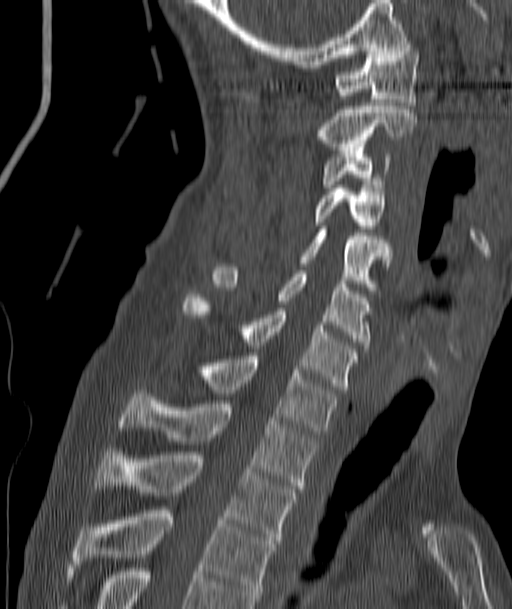
Spine computed tomography. sagittal view. W/L 1800/400 HU. Bounding boxes as [x1, y1, x2, y2] in pixel coordinates.
C1: [335, 44, 419, 105]
C2: [316, 103, 416, 150]
C3: [321, 147, 389, 187]
C4: [313, 188, 386, 232]
C5: [299, 229, 390, 293]
C6: [212, 267, 372, 348]
C7: [182, 294, 359, 389]
T1: [195, 356, 337, 434]
T2: [121, 390, 317, 492]
T3: [94, 452, 296, 543]
T4: [75, 510, 274, 601]